Computed tomography of the spine. Sagittal slice 200/512. 190 mm wide
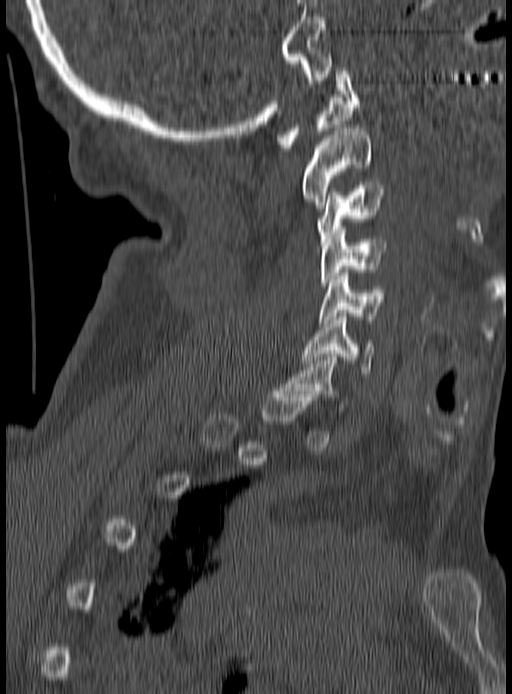

Not every vertebra on this slice has a box: a vertebra is boxed only from the first to the last slice where its cross-section is at least a third of its largest, and this slice is outside that range for at least one of them.
<vertebrae><v name="C1" x1="278" y1="67" x2="359" y2="151"/><v name="C2" x1="303" y1="128" x2="372" y2="208"/><v name="C3" x1="316" y1="182" x2="383" y2="242"/><v name="C4" x1="321" y1="229" x2="387" y2="289"/><v name="C5" x1="319" y1="273" x2="383" y2="322"/><v name="C6" x1="303" y1="317" x2="374" y2="376"/></vertebrae>